CT spine; sagittal plane, index 265; 512x551 px; 7 vertebrae labeled in this scan
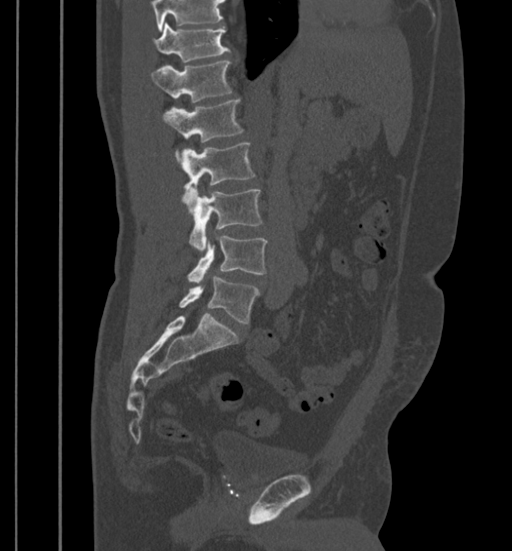
Vertebrae that run past the top of the scan are left unlabeled.
<vertebrae><v name="L5" x1="178" y1="277" x2="259" y2="323"/><v name="L4" x1="187" y1="236" x2="267" y2="282"/><v name="L3" x1="190" y1="190" x2="262" y2="251"/><v name="L2" x1="182" y1="142" x2="255" y2="205"/><v name="L1" x1="163" y1="99" x2="244" y2="161"/><v name="T12" x1="151" y1="60" x2="232" y2="103"/><v name="T11" x1="154" y1="23" x2="230" y2="62"/></vertebrae>